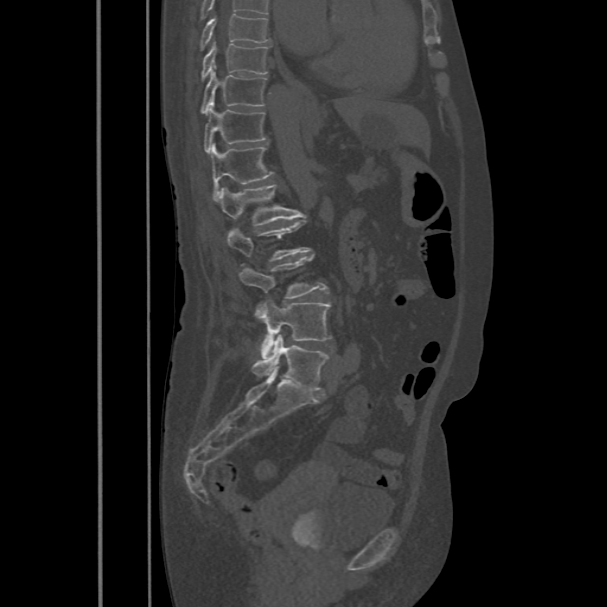
Spine CT. sagittal view. Bone window (WL 400, WW 1800)
The highest labeled vertebra in this scan is T8; the lowest is L5.
<vertebrae><v name="L5" x1="251" y1="335" x2="329" y2="390"/><v name="L4" x1="255" y1="300" x2="331" y2="357"/><v name="L3" x1="238" y1="255" x2="328" y2="317"/><v name="L2" x1="227" y1="220" x2="310" y2="265"/><v name="L1" x1="216" y1="185" x2="298" y2="225"/><v name="T12" x1="211" y1="143" x2="274" y2="201"/><v name="T11" x1="204" y1="102" x2="266" y2="154"/><v name="T10" x1="200" y1="71" x2="266" y2="114"/><v name="T9" x1="200" y1="42" x2="268" y2="81"/><v name="T8" x1="199" y1="13" x2="271" y2="51"/></vertebrae>